Spine computed tomography; sagittal view; bone window; 526x900 px; some of the image was removed or blocked out with constant pixels
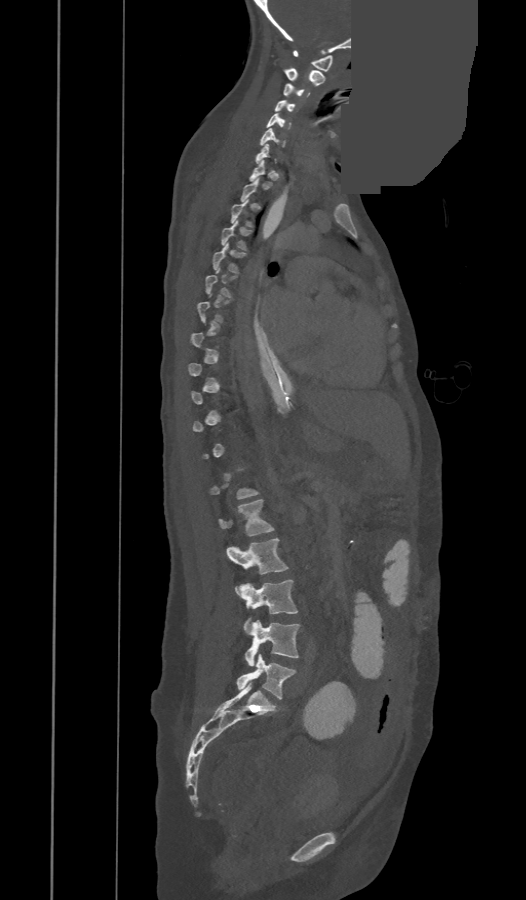
Each box is [x1, y1, x2, y2] in pixels: top-left corner, then bottom-right corner.
Not every vertebra on this slice has a box: a vertebra is boxed only from the first to the last slice where its cross-section is at least a third of its largest, and this slice is outside that range for at least one of them.
{"vertebrae":{"C1":[293,50,333,71],"C2":[283,68,324,86],"C3":[283,83,310,98],"C4":[274,100,295,111],"C5":[267,113,291,129],"C6":[260,128,284,147],"C7":[256,143,277,164],"T4":[221,220,252,249],"T5":[212,243,245,272],"T6":[205,268,236,297],"L1":[219,499,273,536],"L2":[227,538,287,591],"L3":[240,580,297,629],"L4":[244,620,300,666],"L5":[237,655,296,699]}}